CT spine. sagittal view. 11 vertebrae labeled in this scan
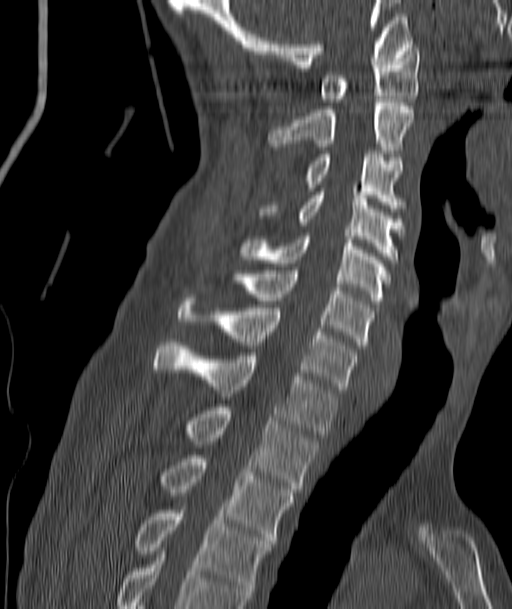

Boxes: x1:y1:x2:y2 in pixels. Vertebrae labeled: T4 at 135:510:271:598, T3 at 160:455:293:543, T2 at 187:407:317:492, T1 at 154:342:337:437, C7 at 179:298:356:389, C6 at 236:270:372:348, C5 at 242:233:389:304, C4 at 261:188:405:263, C3 at 305:151:402:211, C2 at 269:99:414:156, C1 at 321:44:419:102.